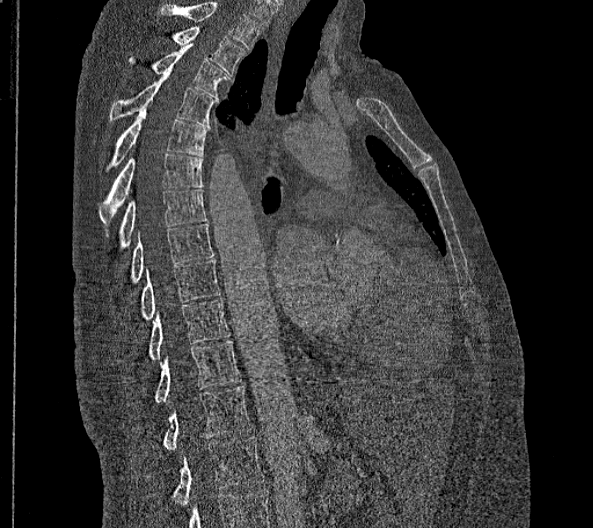 CT, spine. sagittal view
Boxes are (x1, y1, x2, y2) in pixels.
This scan's labels start at T2 at the top and end at L2 at the bottom.
In these labels the thoracic vertebrae end at T11, so L1 follows T11.
Vertebra bounding boxes:
- T2: (171, 27, 246, 75)
- T3: (129, 43, 227, 99)
- T4: (109, 73, 215, 126)
- T5: (103, 105, 209, 172)
- T6: (98, 153, 202, 237)
- T7: (119, 188, 205, 246)
- T8: (131, 223, 213, 281)
- T9: (141, 260, 219, 319)
- T10: (148, 298, 228, 359)
- T11: (155, 341, 240, 402)
- L1: (163, 385, 252, 449)
- L2: (173, 437, 263, 507)